Spine CT — sagittal view — bone window — 512x609 px — scan covers 11 annotated vertebrae
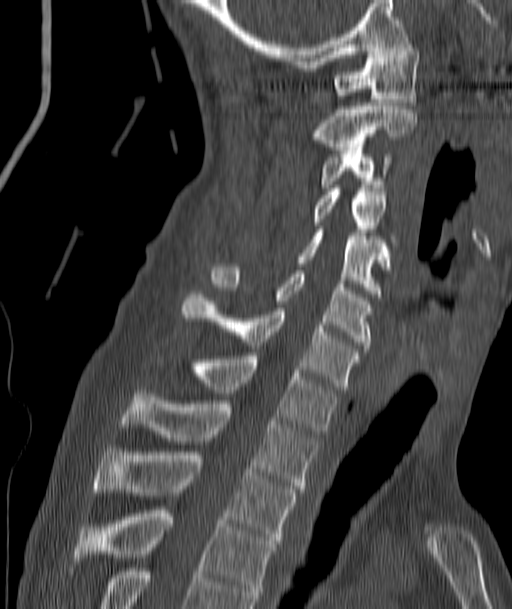 Boxes: x1:y1:x2:y2 in pixels. Vertebrae labeled: T4 at 75:510:274:601, T3 at 94:452:296:543, T2 at 121:390:317:492, T1 at 195:356:337:434, C7 at 182:294:359:389, C6 at 212:267:372:348, C5 at 299:229:389:293, C4 at 313:188:396:249, C3 at 321:147:389:187, C2 at 316:103:416:150, C1 at 335:44:419:105.